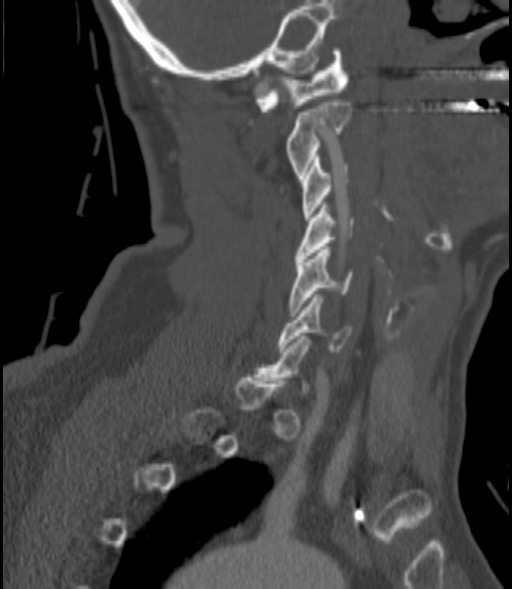

Spine computed tomography. sagittal reformat. 512x589 px
Each box is [x1, y1, x2, y2] in pixels: top-left corner, then bottom-right corner.
Not every vertebra on this slice has a box: a vertebra is boxed only from the first to the last slice where its cross-section is at least a third of its largest, and this slice is outside that range for at least one of them.
{"vertebrae":{"C1":[256,48,348,111],"C2":[288,99,351,178],"C3":[303,157,348,220],"C4":[294,205,353,261],"C5":[290,246,353,313],"C6":[277,294,351,351]}}